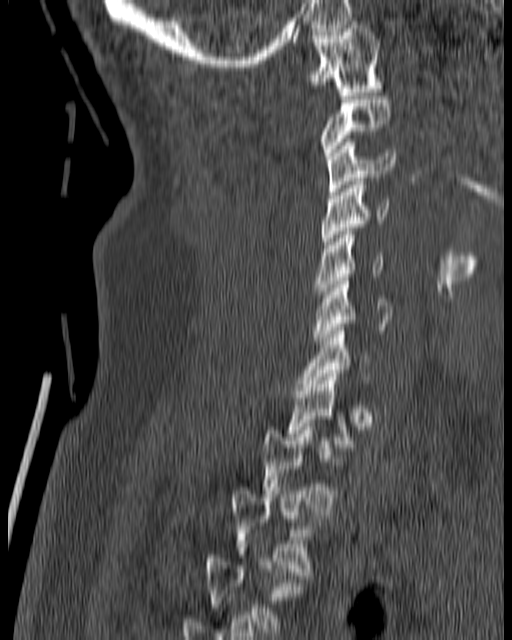
CT spine; the image is 180 mm wide; sagittal view; W/L 1800/400 HU
Coordinates as <box>x1,y1,x2,y2</box>.
Each vertebra is boxed only on the slices from the first to the last where its cross-section reaches a third of its largest, so a slice outside that range leaves it unboxed.
C1: <box>307,21,383,95</box>
C2: <box>319,96,390,159</box>
C3: <box>327,139,395,195</box>
C4: <box>322,178,389,248</box>
C5: <box>314,231,384,294</box>
C6: <box>314,277,392,344</box>
C7: <box>300,327,370,390</box>
T2: <box>262,423,338,515</box>
T3: <box>231,487,324,579</box>